Spine CT; sagittal reformat; 526x900 px; a uniform gray block covers part of the image
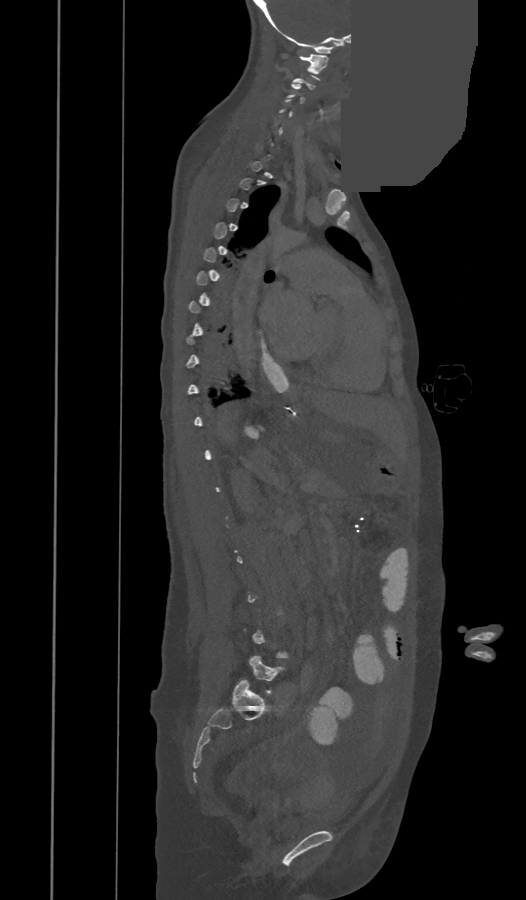

Boxes are (x1, y1, x2, y2) in pixels. A vertebra is boxed only from the first to the last slice where its cross-section is at least a third of its largest; slices outside that range leave it without a box. 3 vertebrae labeled — C1 at (299, 54, 327, 73); C3 at (286, 84, 305, 102); L5 at (248, 656, 284, 694).